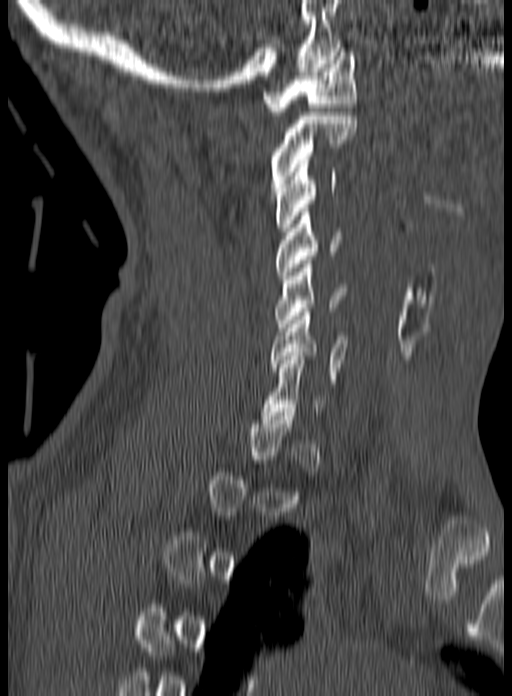

Spine CT · the image is 160 mm wide · sagittal view
Each vertebra is boxed only on the slices from the first to the last where its cross-section reaches a third of its largest, so a slice outside that range leaves it unboxed.
<vertebrae><v name="C6" x1="270" y1="308" x2="348" y2="383"/><v name="C5" x1="275" y1="260" x2="346" y2="331"/><v name="C4" x1="276" y1="208" x2="342" y2="279"/><v name="C3" x1="275" y1="160" x2="336" y2="231"/><v name="C2" x1="270" y1="112" x2="357" y2="195"/><v name="C1" x1="262" y1="48" x2="357" y2="115"/></vertebrae>